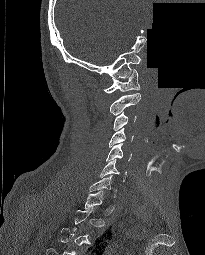 CT. sagittal view. part of the image has been replaced by a constant value

In the table, x1 and y1 are a box's top-left corner and x2 and y2 its bottom-right corner, in pixels.
Each vertebra is boxed only on the slices from the first to the last where its cross-section reaches a third of its largest, so a slice outside that range leaves it unboxed.
| vertebra | x1 | y1 | x2 | y2 |
|---|---|---|---|---|
| C7 | 88 | 175 | 116 | 197 |
| C6 | 99 | 159 | 127 | 181 |
| C5 | 106 | 143 | 132 | 161 |
| C4 | 109 | 127 | 133 | 147 |
| C3 | 113 | 111 | 136 | 130 |
| C2 | 110 | 92 | 140 | 115 |
| C1 | 104 | 69 | 140 | 93 |